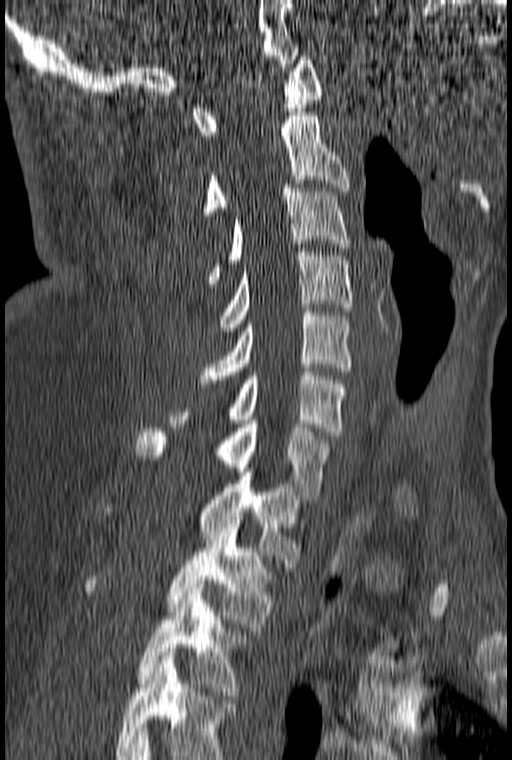 Spine computed tomography; sagittal reformat. Coordinates as <box>x1,y1,x2,y2</box>.
Labels in this scan begin with C1 at the top and end with T3 at the bottom.
T3: <box>139,584,247,695</box>
T2: <box>88,520,272,631</box>
T1: <box>105,468,301,567</box>
C7: <box>136,420,330,499</box>
C6: <box>170,372,346,435</box>
C5: <box>200,308,352,387</box>
C4: <box>219,248,352,327</box>
C3: <box>206,184,349,283</box>
C2: <box>203,112,349,215</box>
C1: <box>193,56,323,139</box>